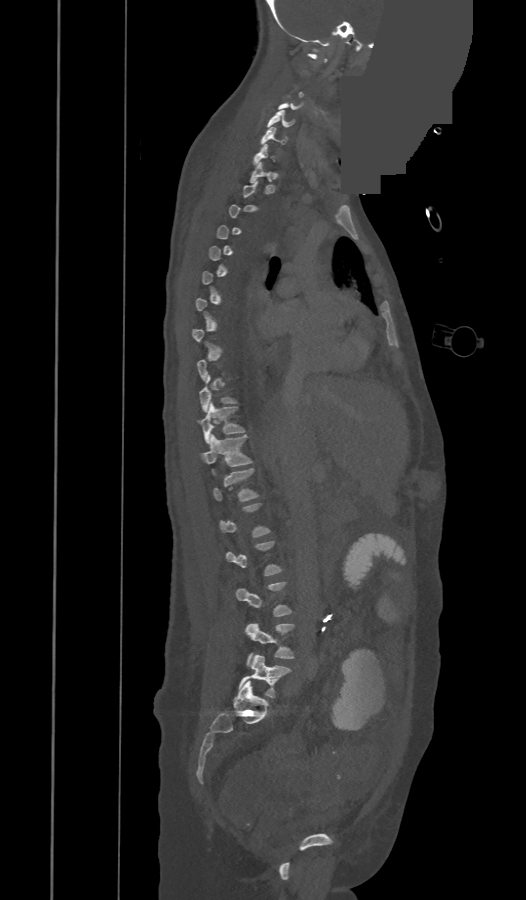 CT spine — sagittal view — part of the image has been replaced by a constant value. Boxes: x1 y1 x2 y2 (pixel coords, space-separated). Each vertebra is boxed only on the slices from the first to the last where its cross-section reaches a third of its largest, so a slice outside that range leaves it unboxed. These labels give the spine a thirteenth thoracic vertebra: T13 sits between T12 and L1. Vertebrae labeled: C5 at 268 110 294 127, C6 at 261 127 286 144, C7 at 254 143 274 165, T1 at 250 161 271 182, T10 at 199 375 236 411, T11 at 199 401 244 444, T12 at 201 435 252 466, T13 at 214 469 258 500, L3 at 235 582 292 616, L4 at 245 623 294 665, L5 at 239 655 291 697.